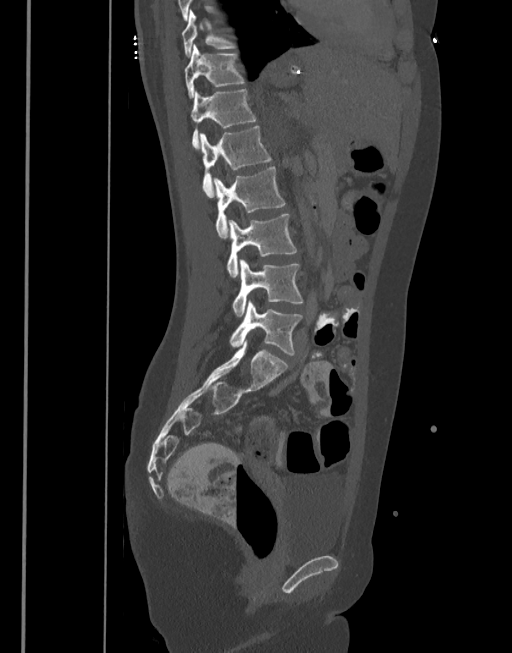
Computed tomography of the spine. sagittal view

Bounding boxes as [x1, y1, x2, y2] in pixel coordinates.
Vertebra bounding boxes:
- T10: [182, 10, 236, 58]
- T11: [185, 44, 245, 98]
- T12: [191, 89, 257, 149]
- L1: [199, 126, 272, 197]
- L2: [214, 166, 285, 237]
- L3: [227, 213, 298, 276]
- L4: [232, 259, 303, 317]
- L5: [229, 301, 303, 355]